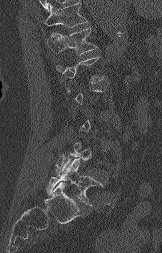
CT · sagittal view · 162 mm wide · bone window · 162x253 px
Box values are [left, top, right, bottom] in pixels.
Not every vertebra on this slice has a box: a vertebra is boxed only from the first to the last slice where its cross-section is at least a third of its largest, and this slice is outside that range for at least one of them.
Vertebrae that run past the top of the scan are left unlabeled.
{"vertebrae":{"T12":[46,27,97,54],"L5":[47,156,102,205]}}